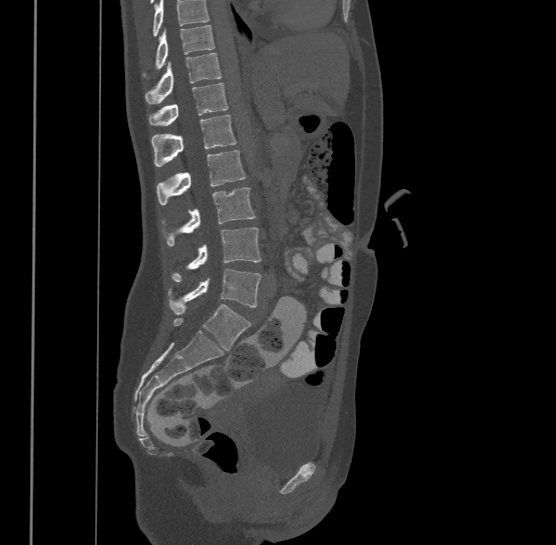
Spine CT · sagittal view · 556x545 px
Box values are [left, top, right, bottom] in pixels.
Where the top of the scan cuts through a vertebra, that vertebra gets no label or box.
This scan's labels start at T9 at the top and end at L4 at the bottom.
{"vertebrae":{"T9":[143,24,215,75],"T10":[144,52,221,102],"T11":[149,82,228,124],"T12":[151,114,236,165],"L1":[156,150,245,203],"L2":[161,186,256,244],"L3":[171,227,262,281],"L4":[168,268,262,314]}}